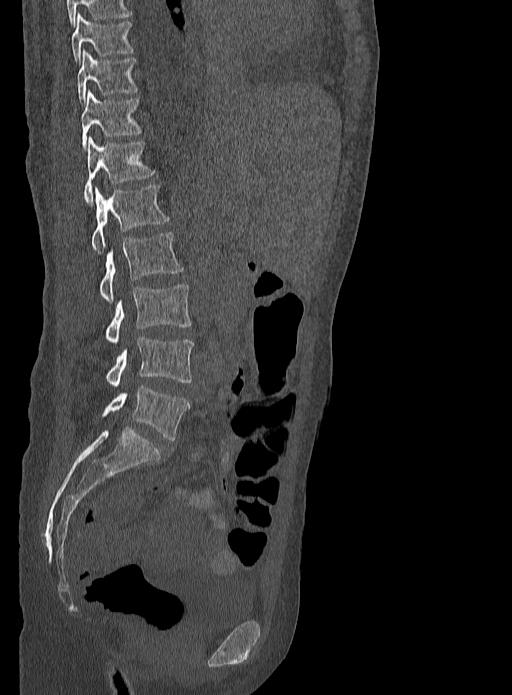

Computed tomography of the spine — sagittal reformat — 512x695 px
Box values are [left, top, right, bottom] in pixels.
{"vertebrae":{"L5":[101,386,189,440],"L4":[106,337,194,386],"L3":[104,284,191,342],"L2":[100,232,183,302],"L1":[90,185,169,253],"T12":[84,137,154,203],"T11":[81,91,142,148],"T10":[77,51,139,105],"T9":[72,14,134,64]}}